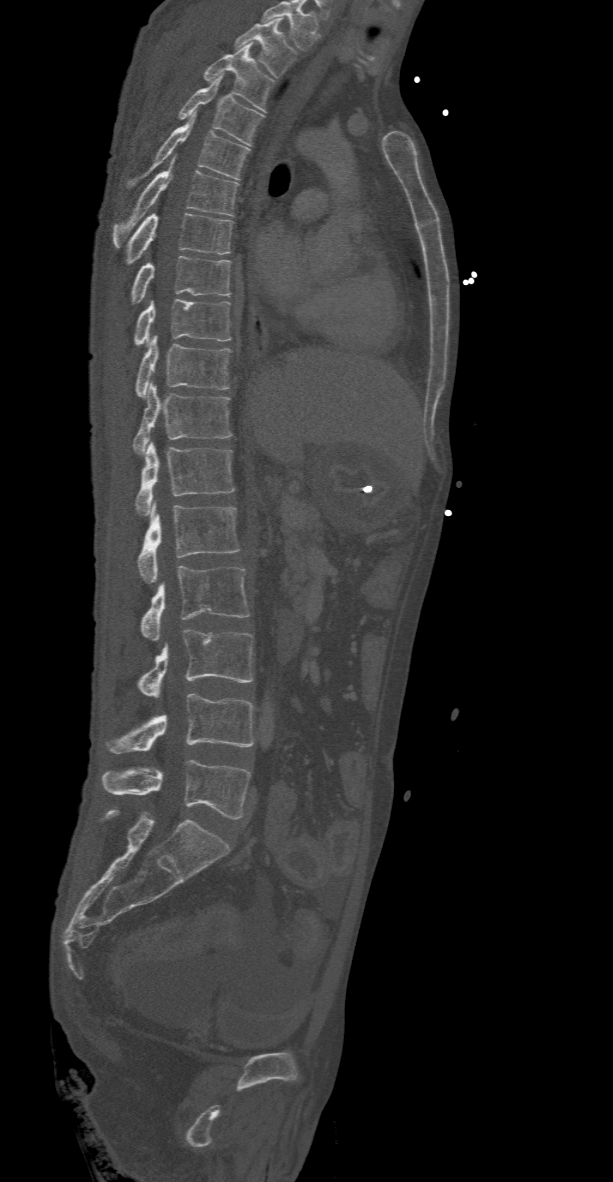
Computed tomography of the spine · sagittal reformat · 613x1182 px · 368 mm image width

Coordinates as <box>x1,y1,x2,y2</box>.
This scan's labels start at T2 at the top and end at L5 at the bottom.
Vertebra bounding boxes:
- L5: <box>102,759,251,818</box>
- L4: <box>107,694,254,753</box>
- L3: <box>138,629,252,698</box>
- L2: <box>140,566,251,641</box>
- L1: <box>137,502,241,583</box>
- T12: <box>134,441,234,516</box>
- T11: <box>133,382,233,455</box>
- T10: <box>134,334,230,398</box>
- T9: <box>133,299,230,346</box>
- T8: <box>132,256,230,303</box>
- T7: <box>127,212,234,265</box>
- T6: <box>113,157,239,246</box>
- T5: <box>127,111,248,188</box>
- T4: <box>176,73,264,145</box>
- T3: <box>204,44,273,111</box>
- T2: <box>235,18,295,78</box>